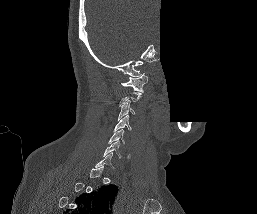

CT · sagittal view · some of the image was removed or blocked out with constant pixels
Boxes are given in columns x1, y1, x2, y2, the pixel coordinates of their top-left and bottom-right corners.
Not every vertebra on this slice has a box: a vertebra is boxed only from the first to the last slice where its cross-section is at least a third of its largest, and this slice is outside that range for at least one of them.
| vertebra | x1 | y1 | x2 | y2 |
|---|---|---|---|---|
| C6 | 103 | 141 | 130 | 158 |
| C5 | 108 | 129 | 125 | 143 |
| C4 | 114 | 115 | 132 | 131 |
| C3 | 118 | 101 | 135 | 120 |
| C1 | 121 | 73 | 147 | 91 |